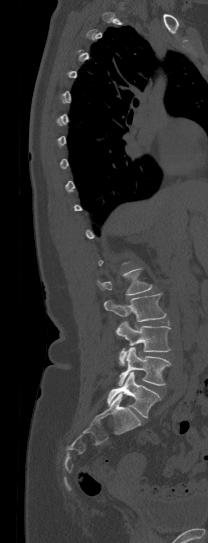 CT, spine · sagittal view · bone window · 208x543 px · 208 mm across the image
Not every vertebra on this slice has a box: a vertebra is boxed only from the first to the last slice where its cross-section is at least a third of its largest, and this slice is outside that range for at least one of them.
<vertebrae><v name="L5" x1="107" y1="372" x2="160" y2="417"/><v name="L4" x1="118" y1="347" x2="171" y2="385"/><v name="L3" x1="116" y1="321" x2="170" y2="365"/><v name="L2" x1="104" y1="293" x2="165" y2="321"/><v name="L1" x1="97" y1="268" x2="152" y2="295"/></vertebrae>